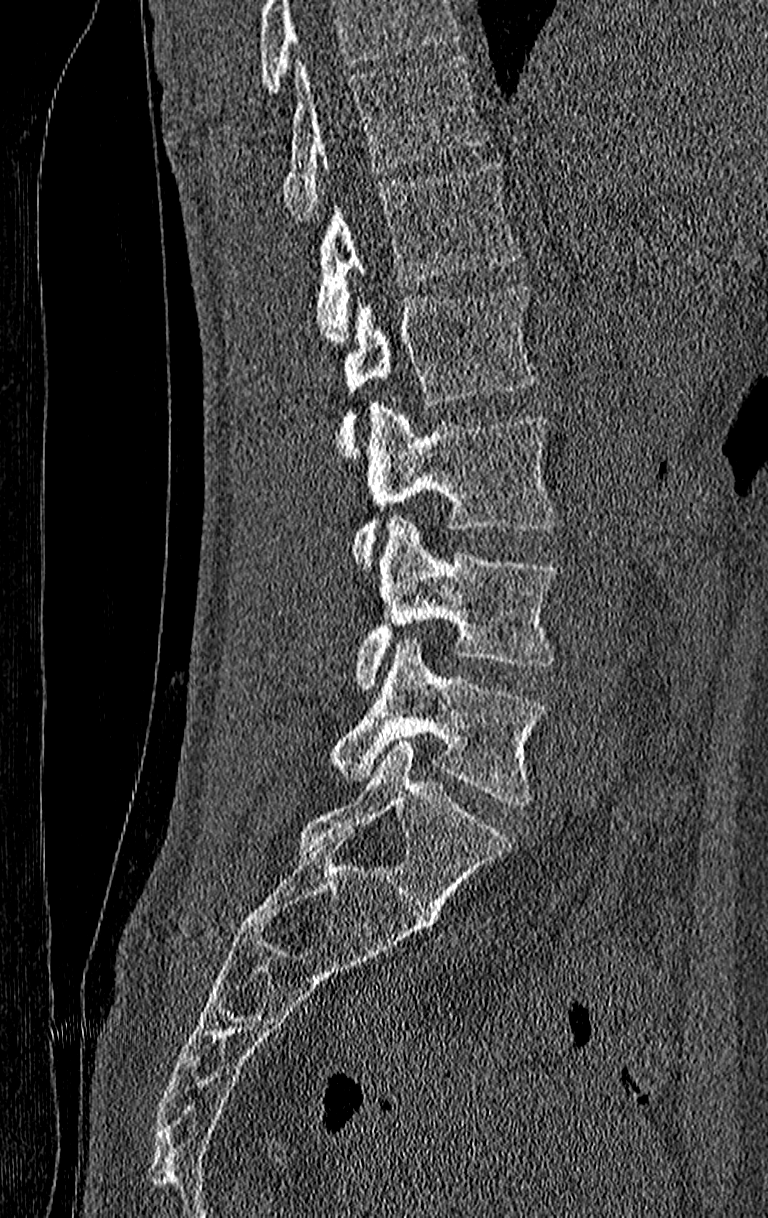
CT spine. sagittal view. bone-window reconstruction. the image is 210 mm wide
Where the top of the scan cuts through a vertebra, that vertebra gets no label or box.
In this scan, the topmost labeled vertebra is T11 and the lowest is L4.
<vertebrae><v name="T11" x1="284" y1="56" x2="488" y2="220"/><v name="T12" x1="313" y1="158" x2="521" y2="343"/><v name="L1" x1="336" y1="286" x2="539" y2="458"/><v name="L2" x1="353" y1="406" x2="561" y2="567"/><v name="L3" x1="353" y1="517" x2="557" y2="692"/><v name="L4" x1="328" y1="640" x2="546" y2="804"/></vertebrae>